CT spine; Sagittal slice 199/512; Bone window (WL 400, WW 1800); image width 140 mm; 10 vertebrae labeled in this scan; a region is masked with a constant gray value
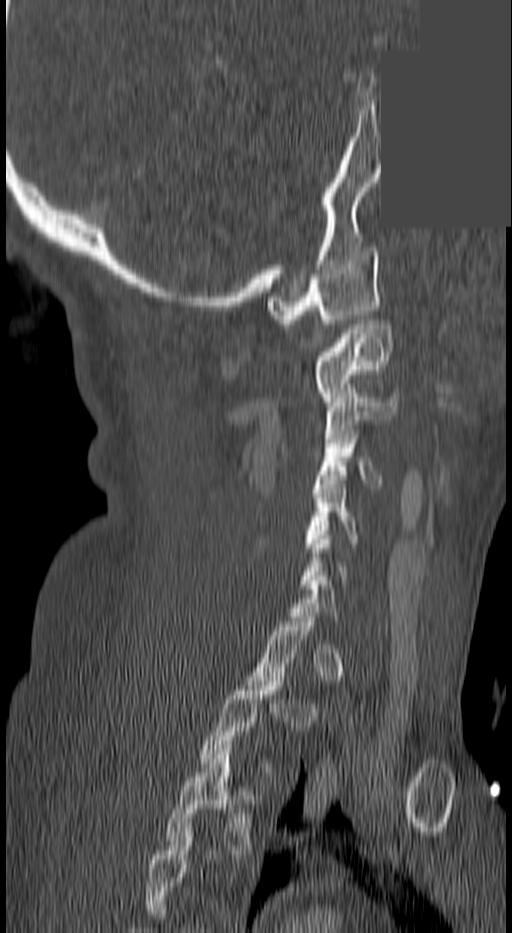 Each vertebra maps to its box as [x1, y1, x2, y2], the pixel coordinates of its top-left and bottom-right corners.
A vertebra is boxed only from the first to the last slice where its cross-section is at least a third of its largest; slices outside that range leave it without a box.
This scan's labels start at C1 at the top and end at T3 at the bottom.
{"vertebrae":{"C1":[267,247,377,324],"C2":[310,320,392,401],"C3":[323,389,397,438],"C4":[316,434,381,488],"C5":[302,485,359,552],"T2":[199,677,284,762],"T3":[166,745,253,854]}}